Computed tomography of the spine; sagittal view; 283x512 px
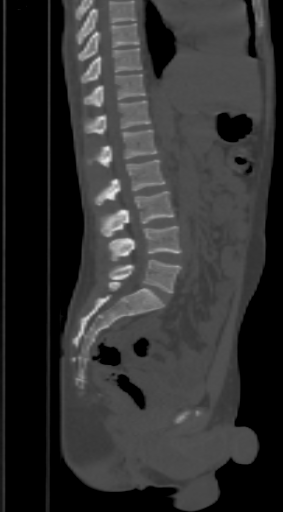
In the table, x1 and y1 are a box's top-left corner and x2 and y2 its bottom-right corner, in pixels.
A vertebra cut off by the top edge of the scan is not labeled and has no box.
| vertebra | x1 | y1 | x2 | y2 |
|---|---|---|---|---|
| L5 | 109 | 259 | 181 | 293 |
| L4 | 106 | 226 | 181 | 261 |
| L3 | 101 | 191 | 175 | 237 |
| L2 | 92 | 159 | 164 | 205 |
| L1 | 90 | 129 | 156 | 167 |
| T12 | 84 | 101 | 150 | 134 |
| T11 | 84 | 73 | 145 | 107 |
| T10 | 81 | 48 | 142 | 83 |
| T9 | 78 | 23 | 139 | 61 |